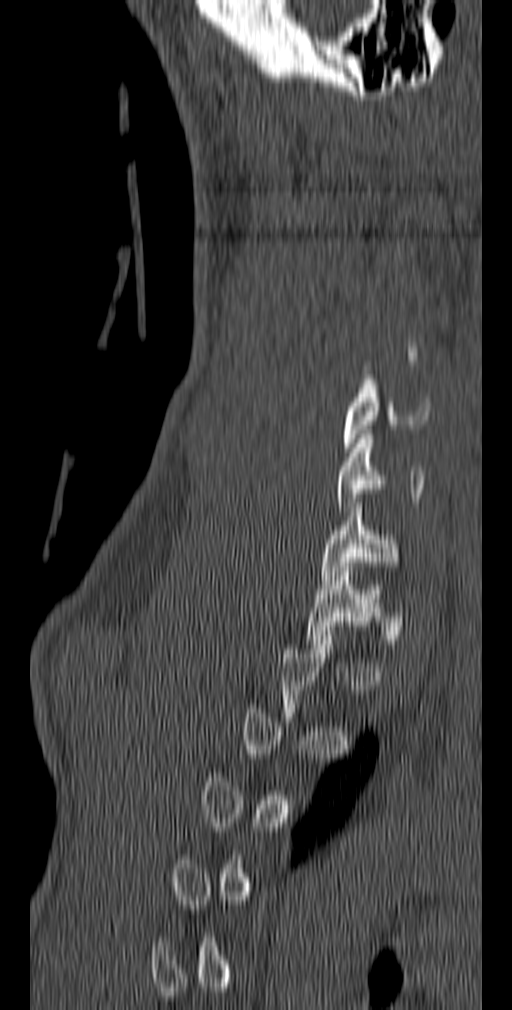

CT. sagittal view. bone window

Boxes: x1:y1:x2:y2 in pixels.
Not every vertebra on this slice has a box: a vertebra is boxed only from the first to the last slice where its cross-section is at least a third of its largest, and this slice is outside that range for at least one of them.
C5: 342:379:430:452
C6: 337:430:425:516
C7: 320:498:399:584
T1: 305:562:382:648